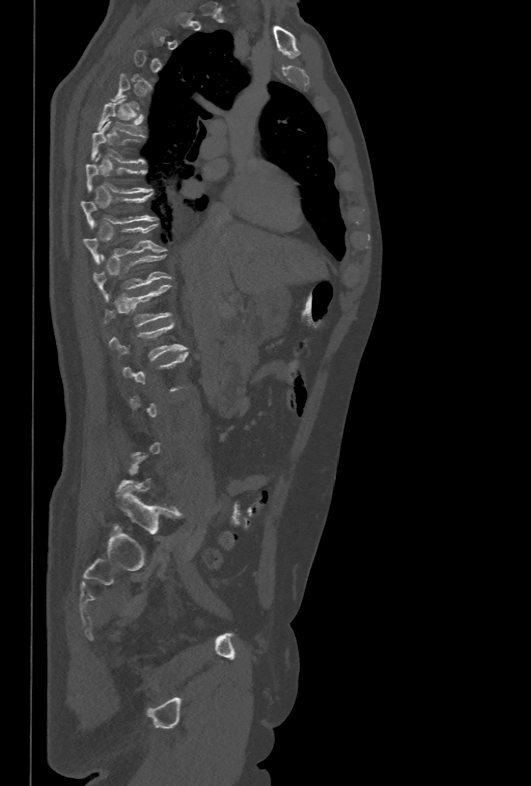 CT, spine · sagittal reformat
In the table, x1 and y1 are a box's top-left corner and x2 and y2 its bottom-right corner, in pixels.
A vertebra gets a box only on the slices from the first to the last where its cross-section is at least a third of its largest; on a slice outside that range it gets none.
| vertebra | x1 | y1 | x2 | y2 |
|---|---|---|---|---|
| T6 | 98 | 98 | 143 | 136 |
| T7 | 91 | 120 | 144 | 164 |
| T8 | 85 | 155 | 150 | 193 |
| T9 | 80 | 193 | 156 | 227 |
| T10 | 83 | 223 | 166 | 263 |
| T11 | 92 | 254 | 171 | 289 |
| T12 | 104 | 285 | 171 | 326 |